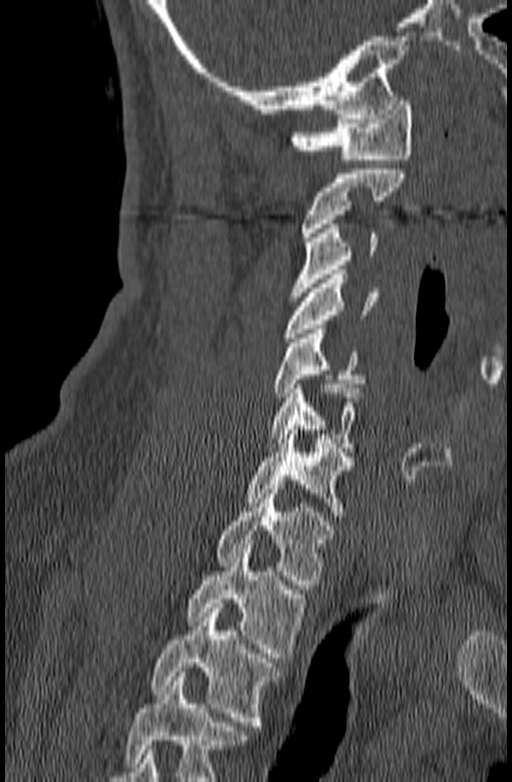

Spine CT — sagittal view — 512x782 px

In the table, x1 and y1 are a box's top-left corner and x2 and y2 its bottom-right corner, in pixels.
No box is given to a vertebra that the bottom edge of the scan cuts off.
| vertebra | x1 | y1 | x2 | y2 |
|---|---|---|---|---|
| T3 | 151 | 603 | 282 | 730 |
| T2 | 186 | 544 | 306 | 662 |
| T1 | 217 | 485 | 333 | 589 |
| C7 | 243 | 430 | 354 | 516 |
| C6 | 265 | 384 | 361 | 452 |
| C5 | 272 | 329 | 365 | 397 |
| C4 | 283 | 270 | 378 | 342 |
| C3 | 290 | 224 | 377 | 296 |
| C2 | 301 | 169 | 406 | 241 |
| C1 | 290 | 96 | 412 | 159 |